CT, spine; sagittal reformat; Bone window (WL 400, WW 1800)
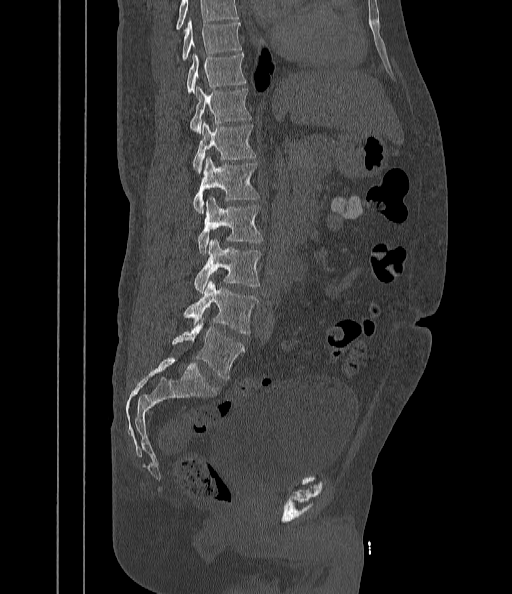

Boxes: x1 y1 x2 y2 (pixel coords, space-separated).
Where the top of the scan cuts through a vertebra, that vertebra gets no label or box.
Vertebra bounding boxes:
- T9: 182 19 241 60
- T10: 186 54 246 93
- T11: 190 85 250 133
- T12: 192 122 255 173
- L1: 193 156 258 213
- L2: 198 196 262 254
- L3: 195 238 261 293
- L4: 183 280 258 334
- L5: 171 318 244 380